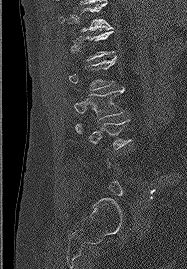
CT spine; sagittal view; Bone window (WL 400, WW 1800)
Each vertebra maps to its box as [x1, y1, x2, y2], the pixel coordinates of its top-left and bottom-right corners.
A vertebra is boxed only from the first to the last slice where its cross-section is at least a third of its largest; slices outside that range leave it without a box.
{"vertebrae":{"T11":[59,2,113,31],"L1":[69,56,116,90],"L2":[74,87,124,120],"L3":[75,119,131,149]}}